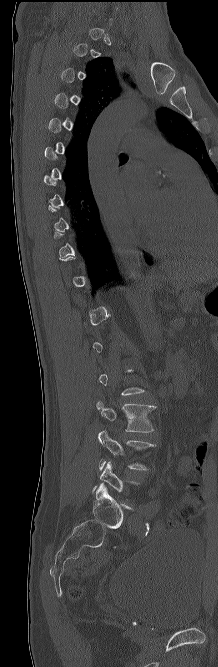

CT spine; sagittal view; bone-window reconstruction

Bounding boxes as [x1, y1, x2, y2] in pixel coordinates. Not every vertebra on this slice has a box: a vertebra is boxed only from the first to the last slice where its cross-section is at least a third of its largest, and this slice is outside that range for at least one of them. The labeled vertebrae in this slice are: L4 at [98, 430, 156, 470], L3 at [96, 401, 155, 432].